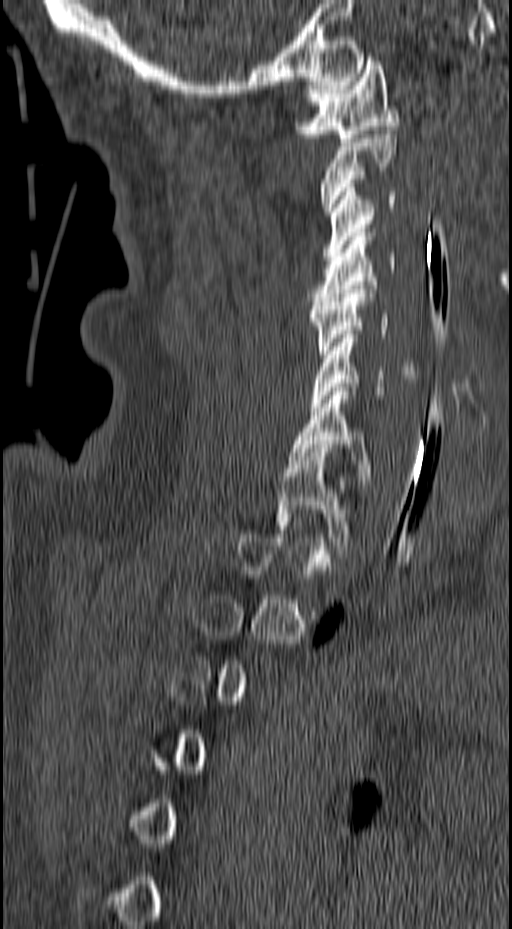
CT, spine; sagittal reformat; W/L 1800/400 HU

Boxes below are [x1, y1, x2, y2] in pixels.
Not every vertebra on this slice has a box: a vertebra is boxed only from the first to the last slice where its cross-section is at least a third of its largest, and this slice is outside that range for at least one of them.
{"vertebrae":{"C1":[294,57,399,142],"C2":[321,130,396,215],"C3":[322,183,395,260],"C4":[310,232,395,305],"C5":[309,285,388,354],"C6":[311,334,416,407],"C7":[288,387,372,484],"T1":[275,448,351,545]}}